CT, spine · Sagittal slice 283/512
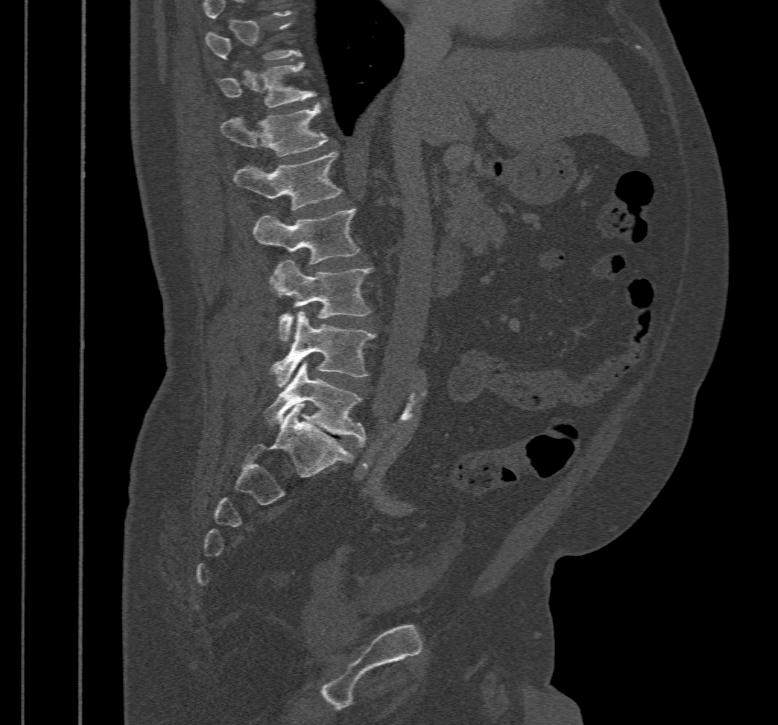

Each row gives a vertebra's box as x1, y1, x2, y2 in pixels: top-left corner, then bottom-right corner.
A vertebra gets a box only on the slices from the first to the last where its cross-section is at least a third of its largest; on a slice outside that range it gets none.
| vertebra | x1 | y1 | x2 | y2 |
|---|---|---|---|---|
| T11 | 216 | 62 | 315 | 108 |
| T12 | 220 | 104 | 327 | 156 |
| L1 | 233 | 152 | 343 | 209 |
| L2 | 254 | 207 | 359 | 264 |
| L3 | 272 | 260 | 373 | 341 |
| L4 | 271 | 310 | 376 | 387 |
| L5 | 263 | 362 | 365 | 445 |